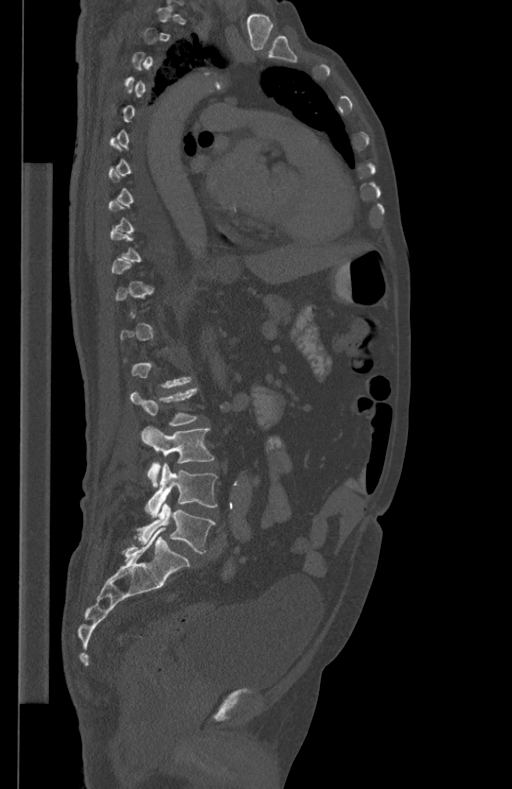

Spine CT · sagittal view · 434 mm wide

Boxes: x1 y1 x2 y2 (pixel coords, space-separated).
Each vertebra is boxed only on the slices from the first to the last where its cross-section reaches a third of its largest, so a slice outside that range leaves it unboxed.
L5: 136 502 215 553
L4: 145 462 217 516
L3: 141 426 214 487
L2: 130 388 197 426